CT, spine. sagittal view. W/L 1800/400 HU. 720x720 px. scan covers 14 annotated vertebrae
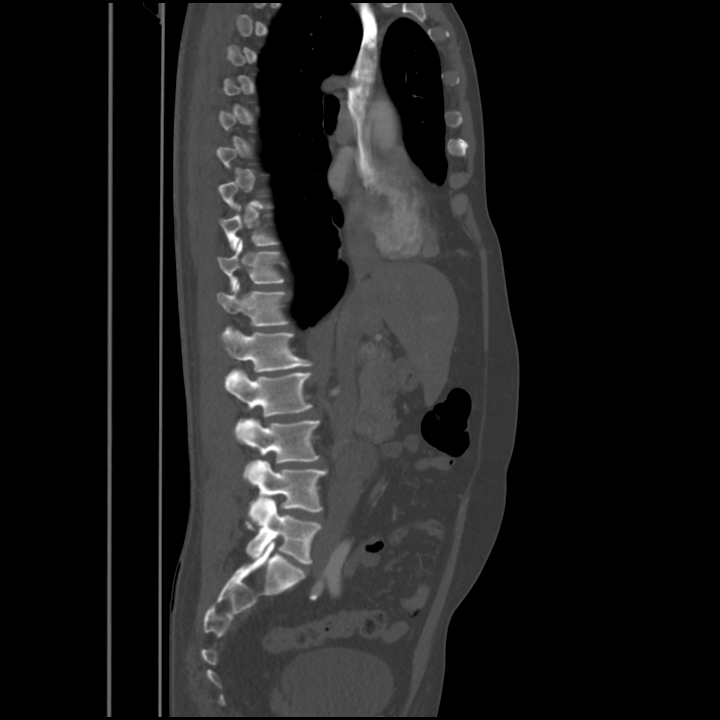 Columns x1, y1, x2, y2 give each box's top-left and bottom-right pixels.
A vertebra is boxed only from the first to the last slice where its cross-section is at least a third of its largest; slices outside that range leave it without a box.
| vertebra | x1 | y1 | x2 | y2 |
|---|---|---|---|---|
| T10 | 221 | 205 | 277 | 249 |
| T11 | 218 | 240 | 283 | 290 |
| T12 | 216 | 283 | 288 | 325 |
| L1 | 220 | 328 | 312 | 371 |
| L2 | 225 | 370 | 312 | 432 |
| L3 | 238 | 418 | 319 | 481 |
| L4 | 248 | 461 | 327 | 525 |
| L5 | 246 | 499 | 321 | 563 |